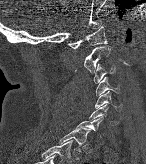
CT, spine. sagittal view. bone window

Coordinates as <box>x1,y1,x2,y2</box>.
This scan's labels start at C1 at the top and end at T1 at the bottom.
C1: <box>68,26,107,48</box>
C2: <box>75,45,112,72</box>
C3: <box>93,64,115,83</box>
C4: <box>95,77,119,96</box>
C5: <box>95,91,120,110</box>
C6: <box>89,104,115,124</box>
C7: <box>74,117,103,137</box>
T1: <box>59,128,91,145</box>